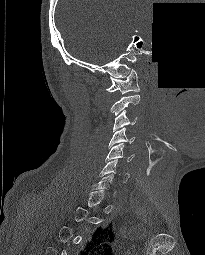

CT spine; sagittal view; part of the image is constant black where the scan was masked
Each vertebra maps to its box as [x1, y1, x2, y2], the pixel coordinates of its top-left and bottom-right corners.
Each vertebra is boxed only on the slices from the first to the last where its cross-section reaches a third of its largest, so a slice outside that range leaves it unboxed.
{"vertebrae":{"C1":[106,69,139,94],"C2":[110,95,139,115],"C3":[112,110,137,131],"C4":[108,127,135,148],"C5":[105,143,134,162],"C6":[99,159,129,182]}}